CT · sagittal view · W/L 1800/400 HU
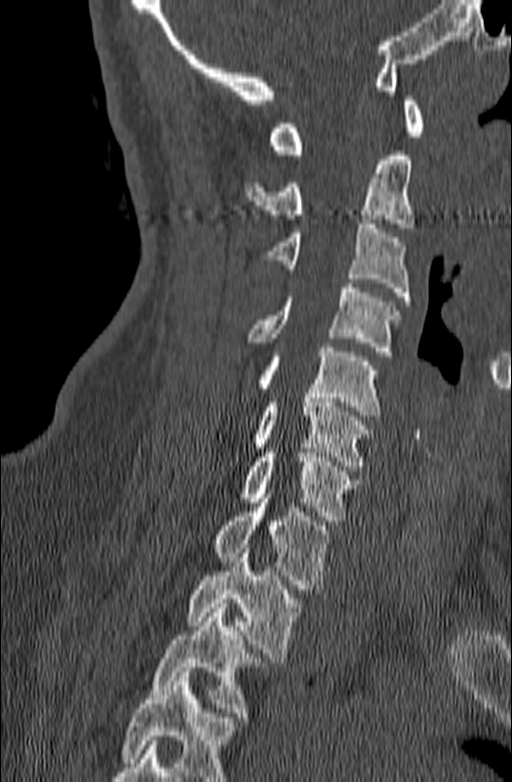

Each vertebra maps to its box as [x1, y1, x2, y2], the pixel coordinates of its top-left and bottom-right corners.
A vertebra cut off by the bottom edge of the scan is not labeled and has no box.
{"vertebrae":{"C1":[268,96,424,154],"C2":[244,151,414,228],"C3":[261,219,411,305],"C4":[246,283,399,356],"C5":[254,347,381,420],"C6":[250,393,373,470],"C7":[239,448,359,525],"T1":[210,494,333,589],"T2":[185,549,304,662],"T3":[151,603,265,721]}}